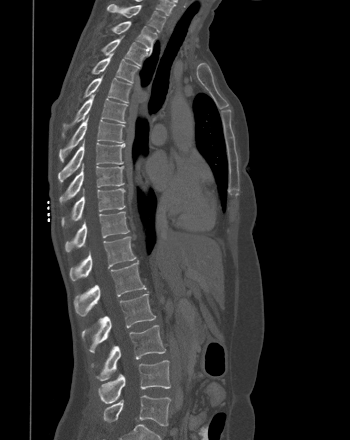 Computed tomography of the spine. sagittal reformat. W/L 1800/400 HU
Boxes: x1:y1:x2:y2 in pixels.
Vertebra bounding boxes:
- T1: 108:5:165:31
- T2: 111:21:157:52
- T3: 101:36:147:65
- T4: 91:53:139:82
- T5: 83:75:131:102
- T6: 62:94:127:137
- T7: 59:116:124:162
- T8: 58:140:124:182
- T9: 59:164:124:203
- T10: 61:188:125:226
- T11: 65:211:129:252
- T12: 69:236:136:281
- L1: 74:261:146:316
- L2: 81:293:155:351
- L3: 92:325:165:381
- L4: 98:360:170:403
- L5: 103:395:170:426